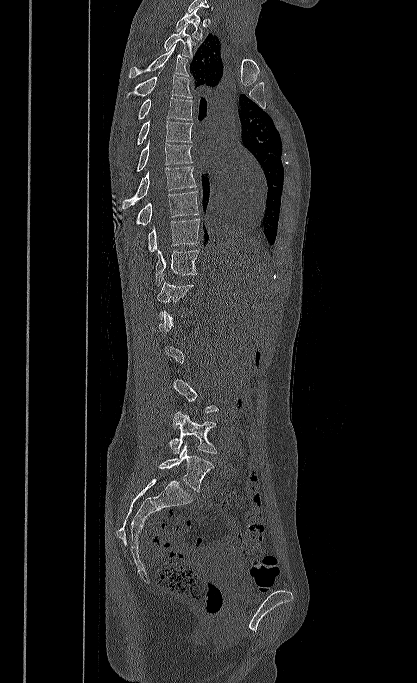
CT, spine — image 417 mm wide — sagittal view — bone-window reconstruction

Columns x1, y1, x2, y2 give each box's top-left and bottom-right pixels.
Not every vertebra on this slice has a box: a vertebra is boxed only from the first to the last slice where its cross-section is at least a third of its largest, and this slice is outside that range for at least one of them.
| vertebra | x1 | y1 | x2 | y2 |
|---|---|---|---|---|
| T1 | 176 | 8 | 202 | 39 |
| T2 | 164 | 26 | 195 | 58 |
| T3 | 129 | 44 | 188 | 78 |
| T4 | 126 | 68 | 192 | 98 |
| T5 | 137 | 97 | 192 | 120 |
| T6 | 137 | 121 | 193 | 145 |
| T7 | 136 | 139 | 192 | 172 |
| T8 | 122 | 166 | 196 | 208 |
| T9 | 136 | 191 | 199 | 225 |
| T10 | 148 | 218 | 199 | 252 |
| T11 | 155 | 250 | 198 | 288 |
| T12 | 157 | 281 | 193 | 319 |
| L4 | 169 | 411 | 217 | 454 |
| L5 | 159 | 444 | 214 | 491 |